CT, spine — 394 mm image width — sagittal view — bone-window reconstruction
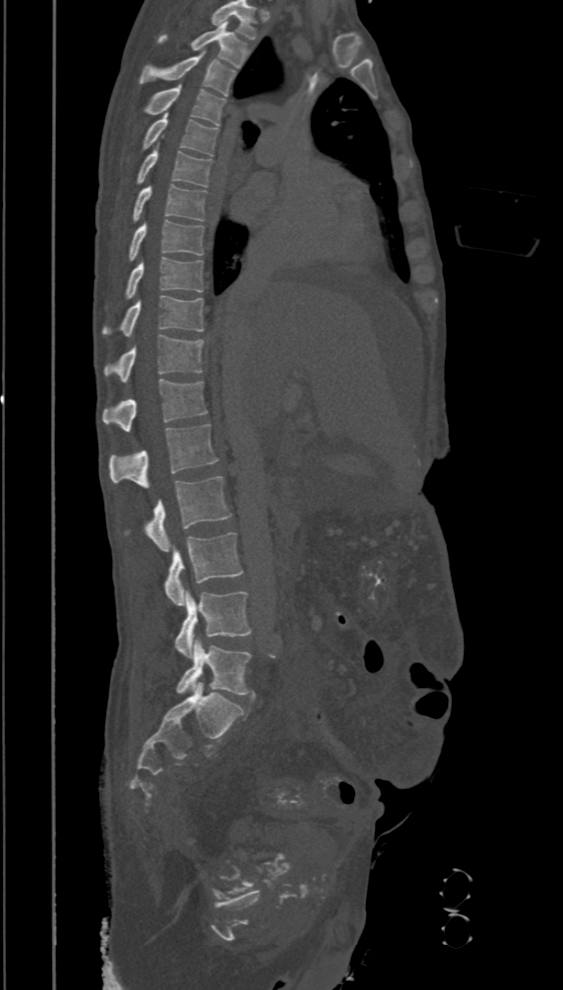
Each box given as x1,y1,x2,y2.
Labels in this scan begin with T2 at the top and end with L5 at the bottom.
T2: x1=157, y1=22, x2=249, y2=68
T3: x1=139, y1=50, x2=236, y2=96
T4: x1=144, y1=85, x2=225, y2=125
T5: x1=143, y1=113, x2=218, y2=155
T6: x1=137, y1=146, x2=211, y2=186
T7: x1=133, y1=185, x2=206, y2=222
T8: x1=129, y1=220, x2=203, y2=261
T9: x1=125, y1=257, x2=203, y2=298
T10: x1=102, y1=295, x2=203, y2=336
T11: x1=102, y1=335, x2=203, y2=382
T12: x1=102, y1=379, x2=208, y2=432
L1: x1=109, y1=425, x2=219, y2=488
L2: x1=144, y1=476, x2=232, y2=551
L3: x1=164, y1=532, x2=243, y2=605
L4: x1=174, y1=590, x2=252, y2=658
L5: x1=176, y1=639, x2=252, y2=695